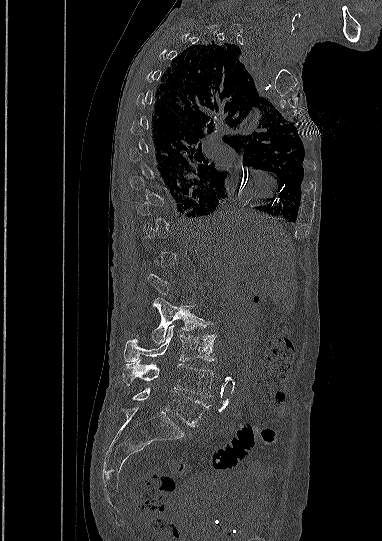

CT, spine; sagittal view

Boxes: x1:y1:x2:y2 in pixels.
A vertebra is boxed only from the first to the last slice where its cross-section is at least a third of its largest; slices outside that range leave it without a box.
Vertebra bounding boxes:
- L2: 152:298:207:344
- L3: 124:324:215:361
- L4: 122:360:214:397
- L5: 132:388:211:426